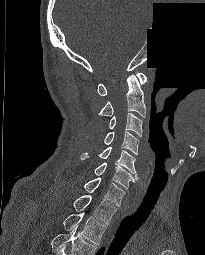

Computed tomography of the spine; sagittal view; Bone window (WL 400, WW 1800); 205x255 px; part of the scan has been removed (filled with constant black)

Each box given as x1,y1,x2,y2.
The highest labeled vertebra in this scan is C1; the lowest is T2.
Vertebra bounding boxes:
- C1: x1=97, y1=72, x2=146, y2=95
- C2: x1=98, y1=74, x2=145, y2=117
- C3: x1=108, y1=112, x2=142, y2=136
- C4: x1=104, y1=130, x2=138, y2=155
- C5: x1=80, y1=147, x2=138, y2=180
- C6: x1=94, y1=163, x2=135, y2=188
- C7: x1=83, y1=178, x2=125, y2=206
- T1: x1=73, y1=195, x2=116, y2=224
- T2: x1=63, y1=212, x2=106, y2=244